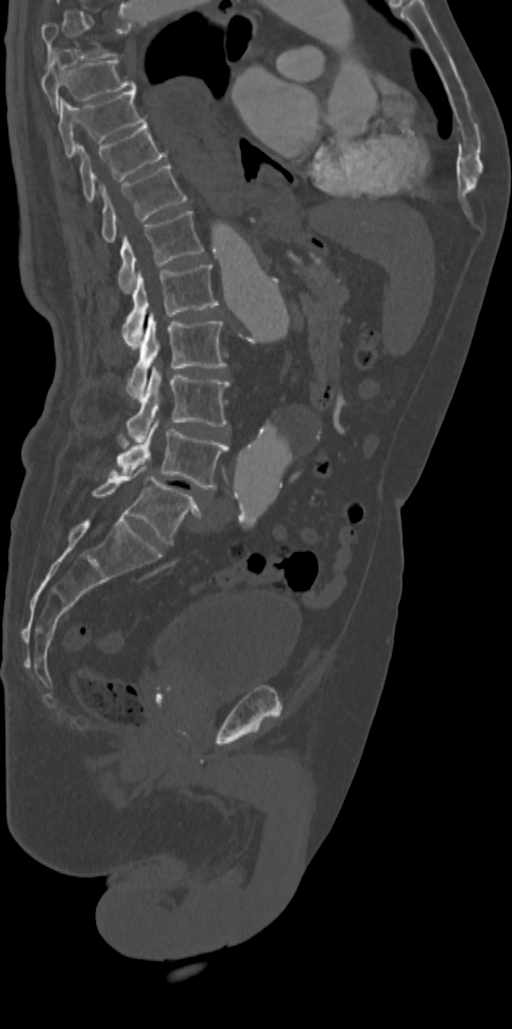

Spine CT; sagittal reformat; the image is 342 mm wide
Each box given as x1,y1,x2,y2.
Not every vertebra on this slice has a box: a vertebra is boxed only from the first to the last slice where its cross-section is at least a third of its largest, and this slice is outside that range for at least one of them.
T8: x1=42, y1=54, x2=137, y2=109
T9: x1=58, y1=90, x2=146, y2=156
T10: x1=77, y1=121, x2=167, y2=201
T11: x1=100, y1=164, x2=186, y2=242
T12: x1=117, y1=211, x2=204, y2=291
L1: x1=123, y1=265, x2=217, y2=345
L2: x1=127, y1=312, x2=226, y2=399
L3: x1=126, y1=368, x2=229, y2=442
L4: x1=117, y1=420, x2=228, y2=489
L5: x1=91, y1=467, x2=201, y2=543